Computed tomography of the spine. 168 mm wide. Sagittal slice 86/168
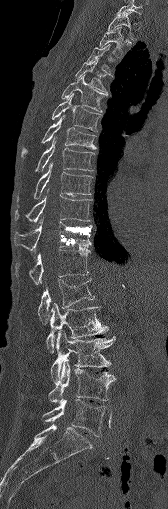 Columns x1, y1, x2, y2 give each box's top-left and bottom-right pixels.
| vertebra | x1 | y1 | x2 | y2 |
|---|---|---|---|---|
| C7 | 117 | 0 | 142 | 16 |
| T1 | 107 | 12 | 135 | 39 |
| T2 | 99 | 27 | 124 | 55 |
| T3 | 87 | 44 | 111 | 72 |
| T4 | 76 | 59 | 107 | 95 |
| T5 | 62 | 75 | 106 | 112 |
| T6 | 52 | 95 | 101 | 131 |
| T7 | 22 | 115 | 95 | 155 |
| T8 | 37 | 137 | 93 | 170 |
| T9 | 35 | 162 | 92 | 197 |
| T10 | 14 | 196 | 90 | 223 |
| T11 | 14 | 217 | 92 | 251 |
| T12 | 29 | 247 | 89 | 284 |
| L1 | 38 | 279 | 94 | 322 |
| L2 | 46 | 304 | 107 | 352 |
| L3 | 50 | 331 | 113 | 383 |
| L4 | 48 | 359 | 114 | 403 |
| L5 | 43 | 399 | 110 | 436 |